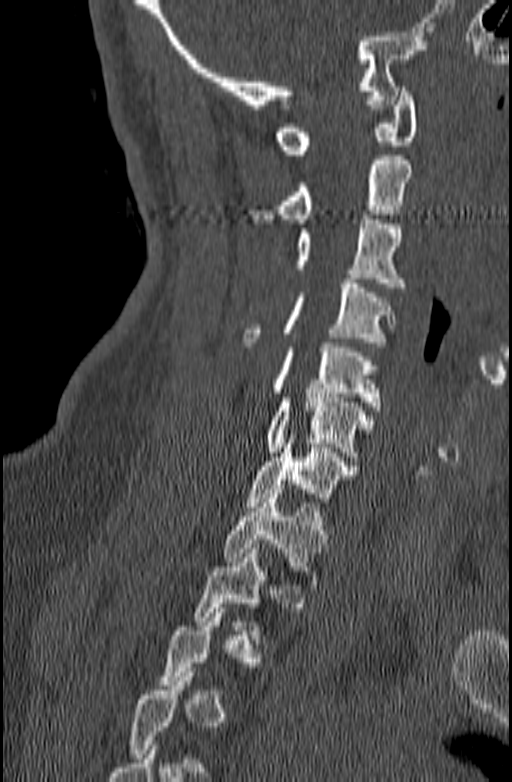

Spine CT; sagittal view; Bone window (WL 400, WW 1800); image 140 mm wide. Box edges are left/top/right/bottom in pixels.
Each vertebra is boxed only on the slices from the first to the last where its cross-section reaches a third of its largest, so a slice outside that range leaves it unboxed.
Vertebra bounding boxes:
- C1: left=276, top=87, right=417, bottom=154
- C2: left=253, top=155, right=413, bottom=223
- C3: left=296, top=215, right=403, bottom=287
- C4: left=242, top=279, right=397, bottom=346
- C5: left=272, top=343, right=381, bottom=410
- C6: left=266, top=393, right=372, bottom=461
- C7: left=246, top=434, right=358, bottom=506
- T1: left=224, top=489, right=327, bottom=584